CT spine — sagittal view — Bone window (WL 400, WW 1800) — 512x782 px — scan covers 10 annotated vertebrae
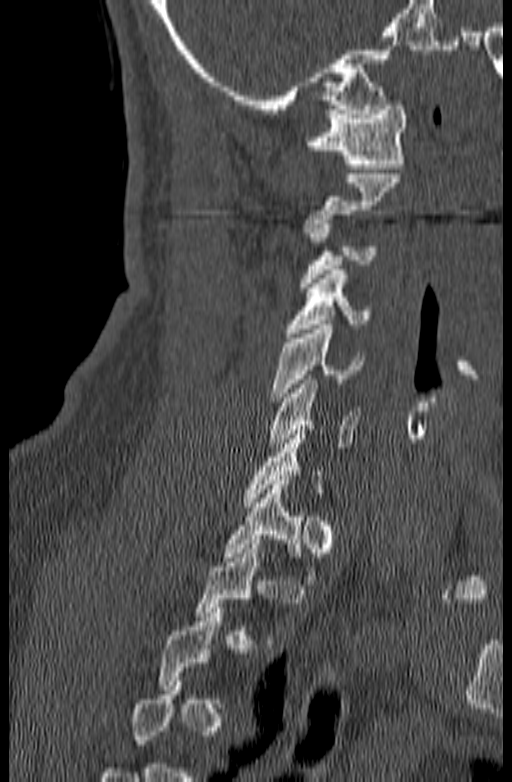

Each box given as x1,y1,x2,y2. Not every vertebra on this slice has a box: a vertebra is boxed only from the first to the last slice where its cross-section is at least a third of its largest, and this slice is outside that range for at least one of them. The labeled vertebrae in this slice are: C1 at x1=305, y1=101, x2=406, y2=168, C2 at x1=301, y1=174, x2=400, y2=232, C4 at x1=285, y1=270, x2=370, y2=337, C5 at x1=271, y1=325, x2=363, y2=401, C6 at x1=268, y1=375, x2=359, y2=452, T1 at x1=222, y1=480, x2=327, y2=584.